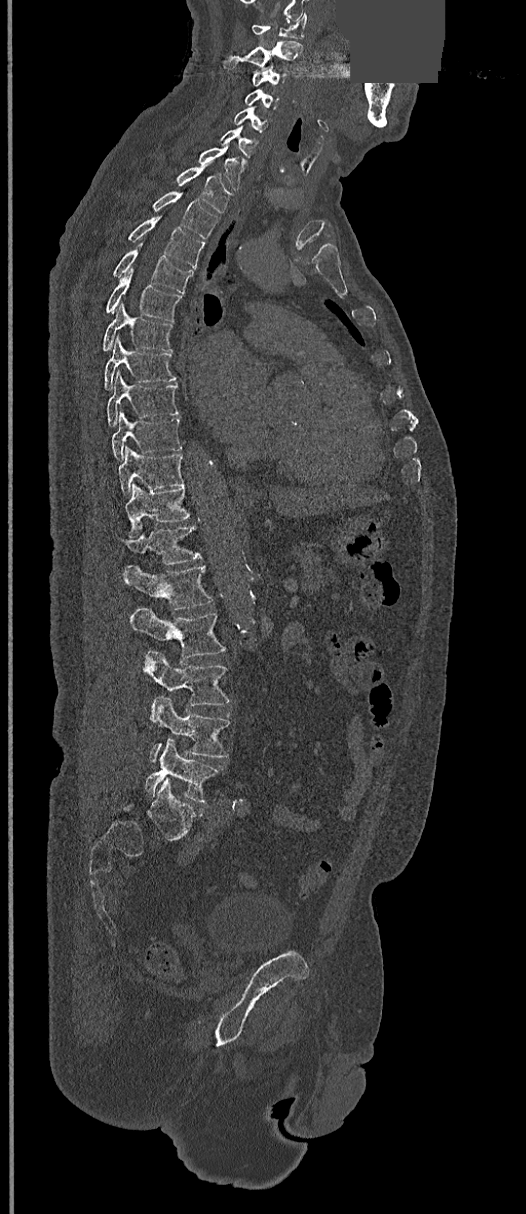
Spine CT — sagittal view — image 368 mm wide — a region of this slice is masked with a uniform fill. Boxes: x1:y1:x2:y2 in pixels.
C1: 253:13:306:39
C2: 227:41:302:68
C3: 253:66:285:88
C4: 244:89:278:109
C5: 234:106:269:132
C6: 220:126:258:158
C7: 198:146:243:189
T1: 176:167:231:212
T2: 153:191:219:239
T3: 128:216:204:268
T4: 113:243:193:293
T5: 106:269:182:322
T6: 103:303:171:350
T7: 104:337:176:389
T8: 107:370:178:426
T9: 111:410:182:459
T10: 118:446:183:495
T11: 124:484:190:537
T12: 118:526:200:565
L1: 122:566:213:609
L2: 129:609:225:662
L3: 143:650:230:708
L4: 147:697:229:762
L5: 144:739:219:802